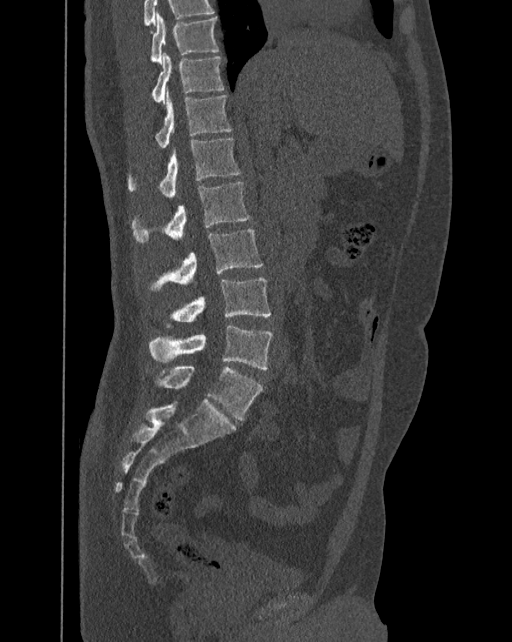

CT, spine — sagittal view — bone-window reconstruction — 512x642 px
Each vertebra maps to its box as [x1, y1, x2, y2], the pixel coordinates of its top-left and bottom-right corners.
In these labels the spine has an L6, a sixth lumbar vertebra below L5.
{"vertebrae":{"T10":[150,12,218,62],"T11":[151,53,223,104],"T12":[155,88,231,147],"L1":[128,138,240,198],"L2":[132,182,251,242],"L3":[149,229,263,291],"L4":[166,277,271,327],"L5":[149,324,272,369],"L6":[157,367,263,420]}}